Spine computed tomography — Sagittal slice 213/512
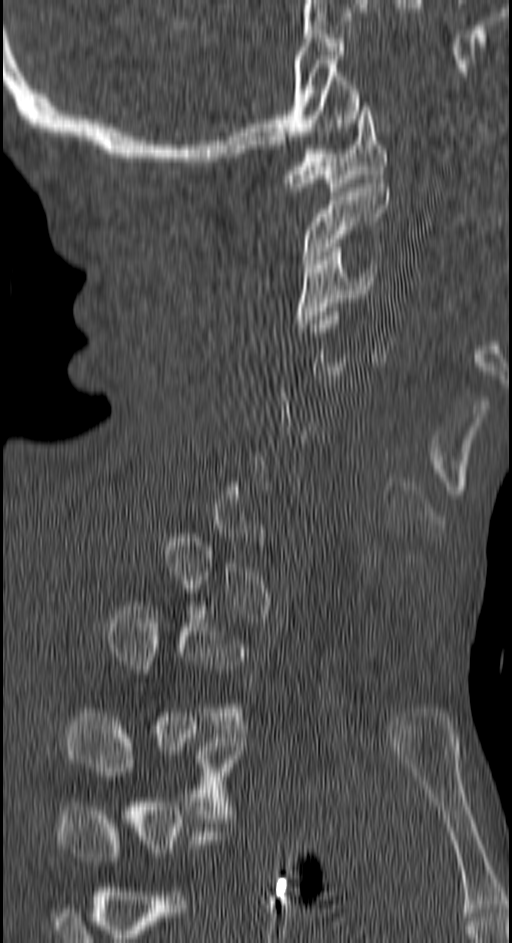

Box edges are left/top/right/bottom in pixels.
Not every vertebra on this slice has a box: a vertebra is boxed only from the first to the last slice where its cross-section is at least a third of its largest, and this slice is outside that range for at least one of them.
| vertebra | x1 | y1 | x2 | y2 |
|---|---|---|---|---|
| T3 | 66 | 713 | 239 | 818 |
| C3 | 297 | 247 | 376 | 328 |
| C2 | 302 | 183 | 389 | 268 |
| C1 | 285 | 102 | 386 | 195 |